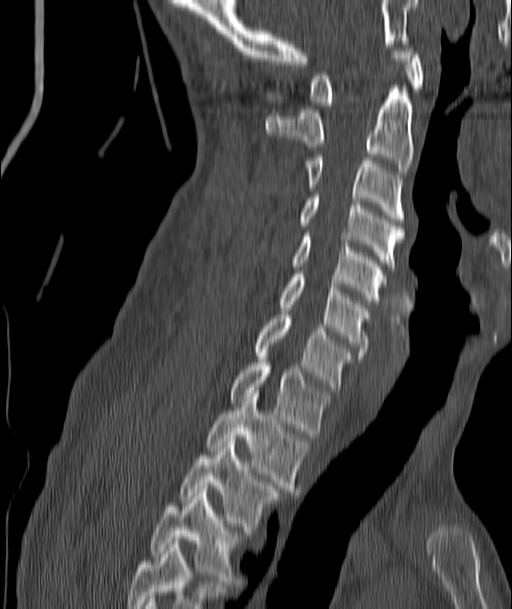
Computed tomography of the spine. sagittal reformat. bone-window reconstruction
<vertebrae><v name="T4" x1="151" y1="493" x2="239" y2="581"/><v name="T3" x1="182" y1="438" x2="276" y2="533"/><v name="T2" x1="206" y1="394" x2="309" y2="492"/><v name="T1" x1="231" y1="359" x2="328" y2="437"/><v name="C7" x1="255" y1="315" x2="350" y2="389"/><v name="C6" x1="280" y1="274" x2="367" y2="355"/><v name="C5" x1="294" y1="233" x2="386" y2="304"/><v name="C4" x1="299" y1="195" x2="405" y2="269"/><v name="C3" x1="308" y1="157" x2="405" y2="221"/><v name="C2" x1="266" y1="82" x2="413" y2="174"/><v name="C1" x1="310" y1="44" x2="424" y2="105"/></vertebrae>